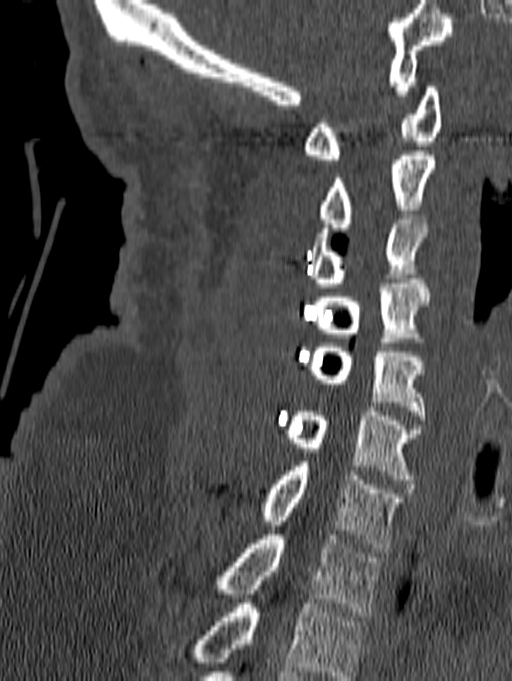

CT. sagittal view. Bone window (WL 400, WW 1800). Each row gives a vertebra's box as x1, y1, x2, y2 in pixels: top-left corner, then bottom-right corner.
The highest labeled vertebra in this scan is C1; the lowest is T1.
| vertebra | x1 | y1 | x2 | y2 |
|---|---|---|---|---|
| C1 | 303 | 87 | 441 | 159 |
| C2 | 320 | 151 | 435 | 232 |
| C3 | 309 | 215 | 427 | 287 |
| C4 | 314 | 279 | 429 | 342 |
| C5 | 308 | 343 | 425 | 420 |
| C6 | 287 | 407 | 422 | 484 |
| C7 | 261 | 462 | 403 | 548 |
| T1 | 215 | 535 | 382 | 616 |